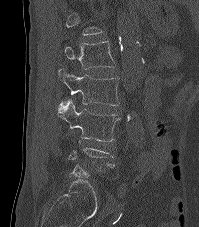
CT spine; sagittal reformat; 199x227 px
Each vertebra is boxed only on the slices from the first to the last where its cross-section reaches a third of its largest, so a slice outside that range leaves it unboxed.
<vertebrae><v name="L1" x1="65" y1="41" x2="115" y2="69"/><v name="L2" x1="58" y1="68" x2="119" y2="105"/><v name="L3" x1="58" y1="99" x2="120" y2="141"/></vertebrae>